CT spine · image width 356 mm · sagittal view · 593x528 px
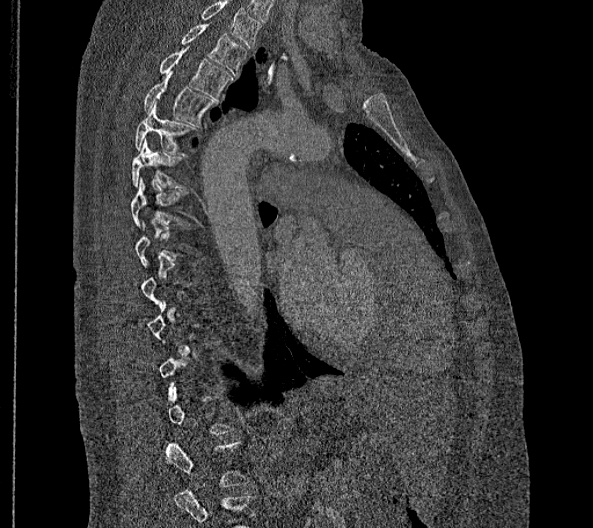

Box edges are left/top/right/bottom in pixels. Not every vertebra on this slice has a box: a vertebra is boxed only from the first to the last slice where its cross-section is at least a third of its largest, and this slice is outside that range for at least one of them. The highest labeled vertebra in this scan is T2; the lowest is L2. Vertebrae labeled: T2 at left=181, top=23, right=247, bottom=76, T3 at left=160, top=46, right=232, bottom=99, T4 at left=143, top=71, right=213, bottom=126, T5 at left=134, top=103, right=194, bottom=154, T6 at left=131, top=138, right=183, bottom=189.